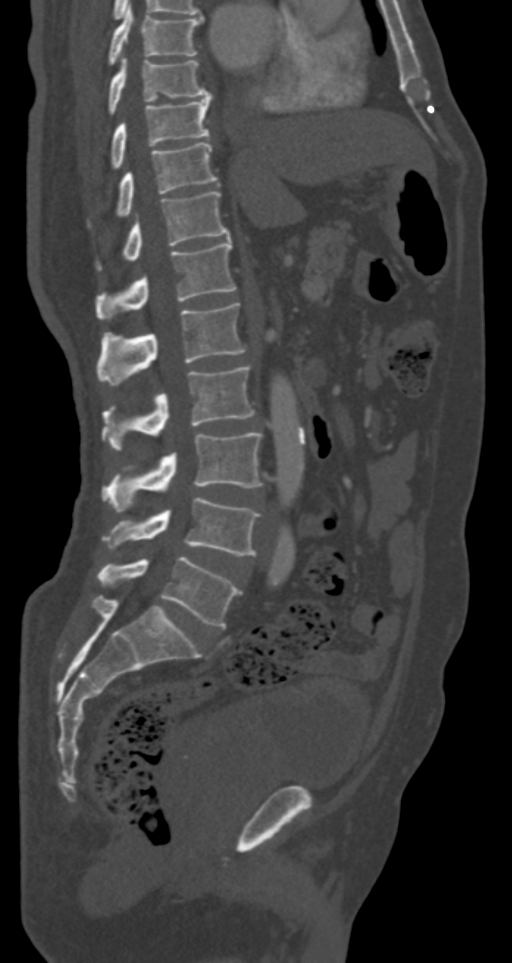 Spine CT · sagittal view · 512x963 px

Boxes: x1 y1 x2 y2 (pixel coords, space-separated). Vertebrae labeled: L5 at 98 556 241 628, L4 at 103 497 259 555, L3 at 101 433 263 512, L2 at 101 367 254 450, L1 at 96 303 245 386, T12 at 96 239 236 317, T11 at 98 191 229 267, T10 at 116 142 216 216, T9 at 110 94 211 168, T8 at 108 56 209 115, T7 at 108 5 202 65.